CT spine · sagittal reformat · bone-window reconstruction · 453x1568 px · 23 vertebrae labeled in this scan · part of the image has been replaced by a constant value
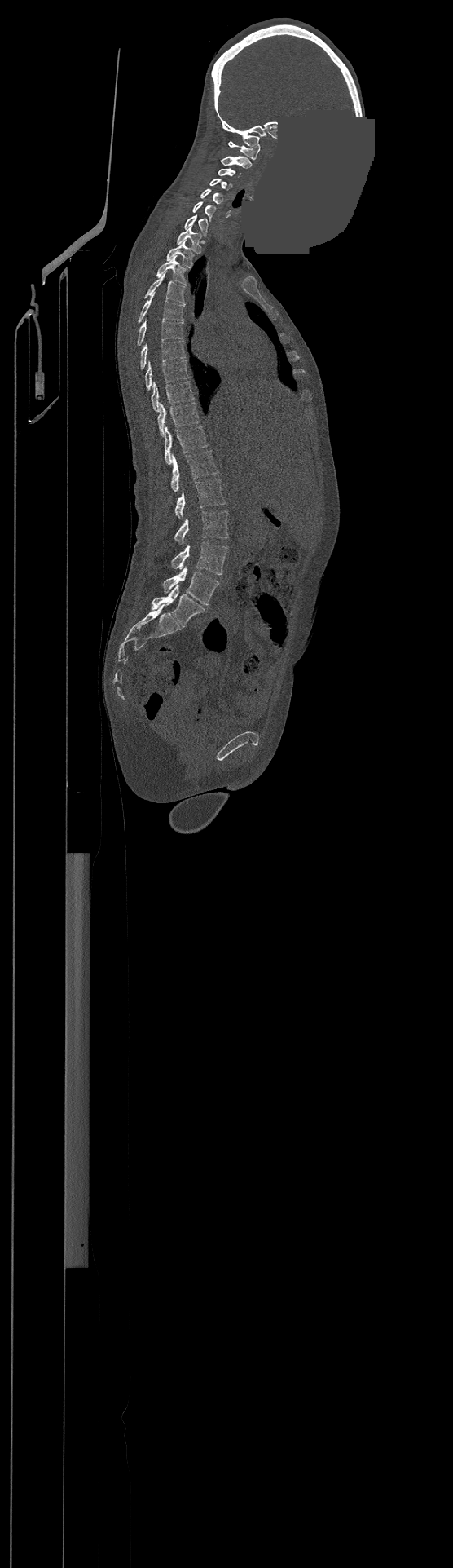

Boxes: x1:y1:x2:y2 in pixels. Labels in this scan begin with C1 at the top and end with L4 at the bottom. The labeled vertebrae in this slice are: C1 at 228:141:260:159, C2 at 221:157:252:168, C3 at 218:168:240:177, C4 at 210:179:231:189, C5 at 200:189:223:204, C6 at 193:201:215:220, C7 at 185:214:208:236, T1 at 177:226:200:253, T2 at 166:241:193:267, T3 at 156:257:186:284, T4 at 145:273:185:304, T5 at 139:293:184:321, T6 at 138:319:183:345, T7 at 141:340:185:369, T8 at 145:360:188:390, T9 at 152:381:194:411, T10 at 157:403:199:435, T11 at 164:426:208:464, T12 at 172:450:218:492, L1 at 175:478:226:518, L2 at 175:510:228:545, L3 at 172:541:227:574, L4 at 163:565:218:605.